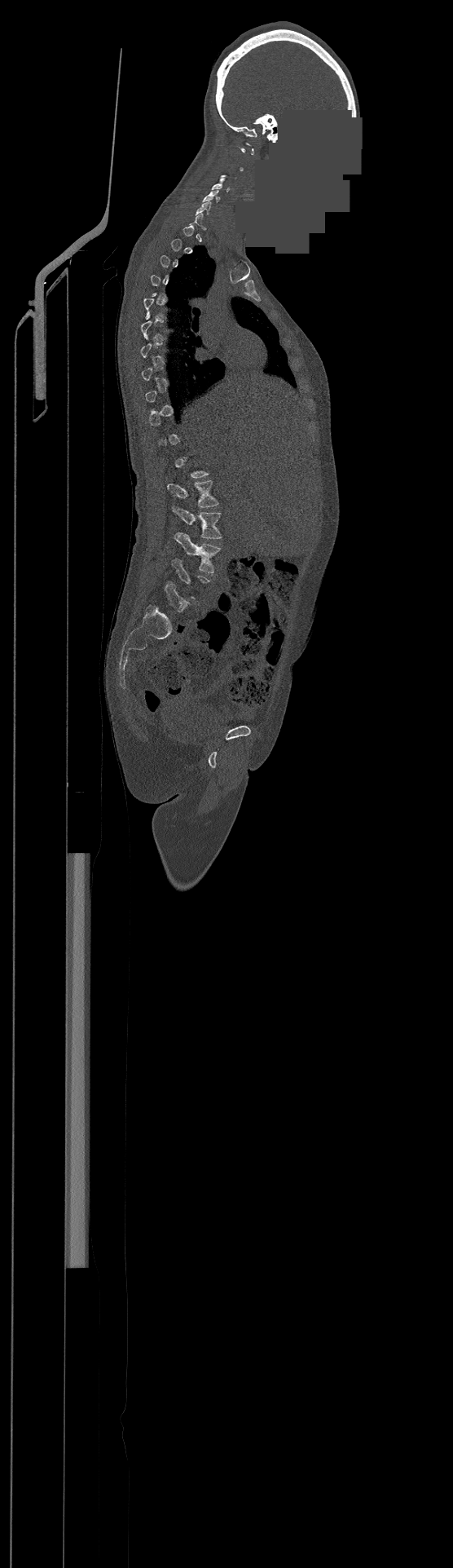 Computed tomography of the spine · sagittal view · W/L 1800/400 HU · 453x1568 px · part of the image is a flat gray fill, not anatomy
Bounding boxes as [x1, y1, x2, y2] in pixel coordinates.
A vertebra gets a box only on the slices from the first to the last where its cross-section is at least a third of its largest; on a slice outside that range it gets none.
C4: [212, 179, 229, 191]
C5: [202, 190, 219, 203]
C6: [196, 201, 211, 214]
L1: [167, 480, 219, 507]
L2: [172, 506, 222, 538]
L3: [174, 532, 221, 573]